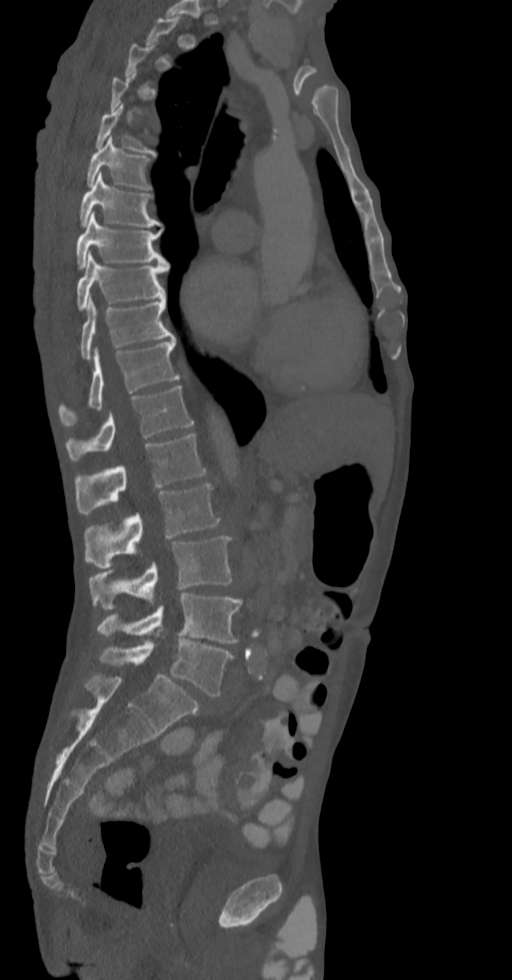 CT spine — sagittal view — bone-window reconstruction
A vertebra is boxed only from the first to the last slice where its cross-section is at least a third of its largest; slices outside that range leave it without a box.
<vertebrae><v name="T5" x1="96" y1="104" x2="154" y2="154"/><v name="T6" x1="87" y1="136" x2="150" y2="189"/><v name="T7" x1="80" y1="172" x2="160" y2="226"/><v name="T8" x1="76" y1="212" x2="168" y2="269"/><v name="T9" x1="77" y1="253" x2="168" y2="310"/><v name="T10" x1="80" y1="297" x2="174" y2="359"/><v name="T11" x1="59" y1="340" x2="180" y2="426"/><v name="T12" x1="65" y1="386" x2="194" y2="461"/><v name="L1" x1="74" y1="433" x2="206" y2="514"/><v name="L2" x1="85" y1="483" x2="220" y2="569"/><v name="L3" x1="88" y1="536" x2="232" y2="609"/><v name="L4" x1="97" y1="593" x2="243" y2="642"/><v name="L5" x1="99" y1="635" x2="233" y2="695"/></vertebrae>